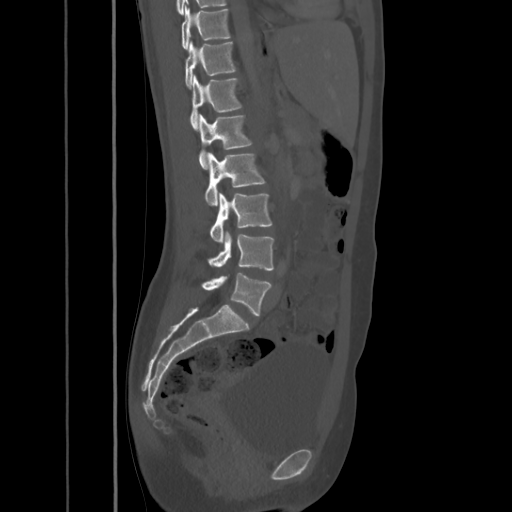

Spine CT — sagittal reformat — bone window

Boxes below are [x1, y1, x2, y2] in pixels.
{"vertebrae":{"T10":[181,4,230,48],"T11":[184,41,236,86],"T12":[189,75,242,129],"L1":[198,115,252,169],"L2":[205,153,265,205],"L3":[210,193,271,241],"L4":[207,231,274,270],"L5":[201,272,271,316]}}